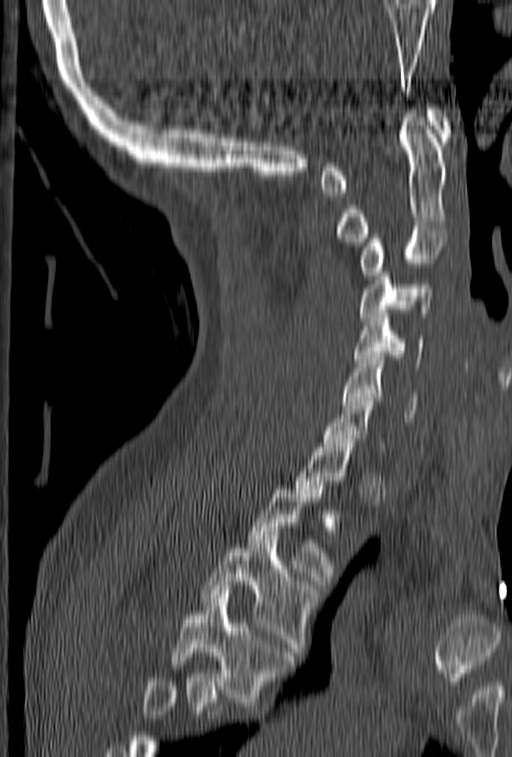 Spine computed tomography; sagittal view; bone window; 512x757 px

Boxes: x1 y1 x2 y2 (pixel coords, space-separated). Each vertebra is boxed only on the slices from the first to the last where its cross-section reaches a third of its largest, so a slice outside that range leaves it unboxed. Where the bottom of the scan cuts through a vertebra, that vertebra gets no label or box. Vertebrae labeled: T4 at 171 590 295 706, T3 at 201 535 319 656, T2 at 248 485 335 585, C7 at 322 389 385 451, C6 at 343 356 417 421, C5 at 353 310 423 371, C4 at 359 264 432 325, C3 at 359 230 447 279, C2 at 336 109 449 246, C1 at 319 105 452 196.